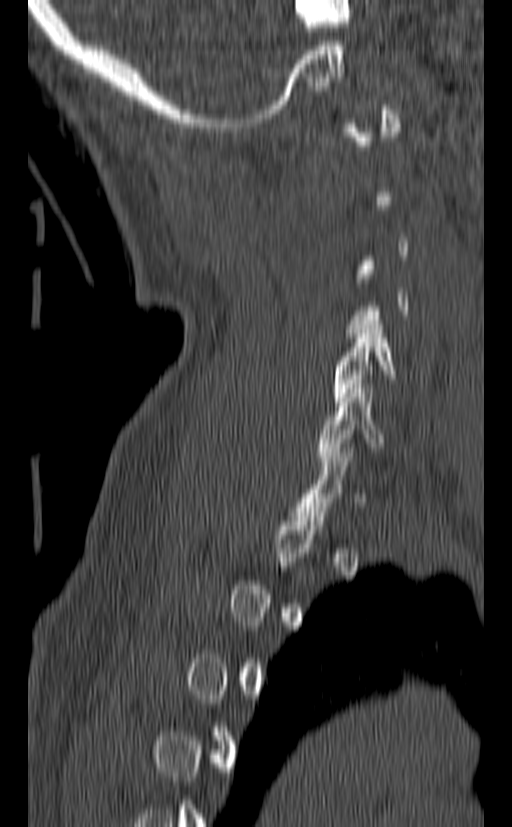

CT; sagittal reformat; W/L 1800/400 HU

Boxes are (x1, y1, x2, y2) in pixels. A vertebra gets a box only on the slices from the first to the last where its cross-section is at least a third of its largest; on a slice outside that range it gets none. Vertebrae labeled: C6 at (318, 384, 385, 465), C5 at (330, 320, 395, 406).